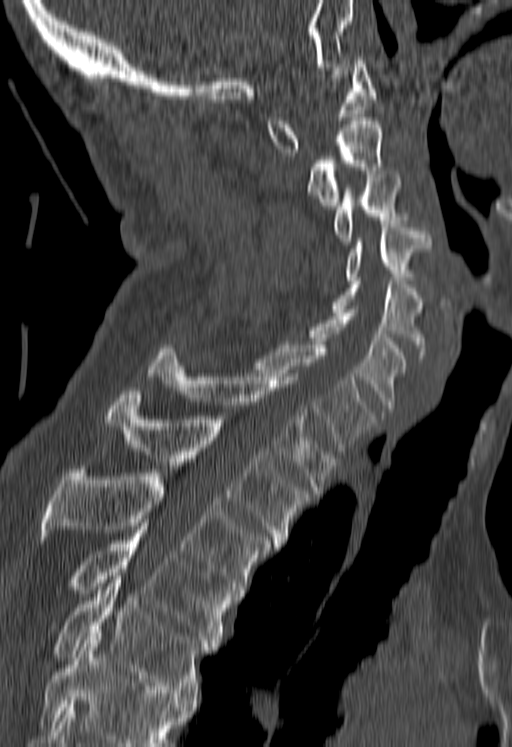 Spine computed tomography; 180 mm image width; sagittal view; Bone window (WL 400, WW 1800)
No box is given to a vertebra that the bottom edge of the scan cuts off.
<vertebrae><v name="T5" x1="55" y1="576" x2="210" y2="699"/><v name="T4" x1="75" y1="523" x2="230" y2="646"/><v name="T3" x1="41" y1="466" x2="270" y2="596"/><v name="T2" x1="106" y1="391" x2="310" y2="547"/><v name="T1" x1="148" y1="348" x2="336" y2="493"/><v name="C7" x1="251" y1="341" x2="373" y2="454"/><v name="C6" x1="302" y1="309" x2="407" y2="411"/><v name="C5" x1="331" y1="277" x2="427" y2="358"/><v name="C4" x1="345" y1="224" x2="430" y2="283"/><v name="C3" x1="334" y1="174" x2="403" y2="241"/><v name="C2" x1="308" y1="117" x2="384" y2="209"/><v name="C1" x1="266" y1="57" x2="375" y2="152"/></vertebrae>